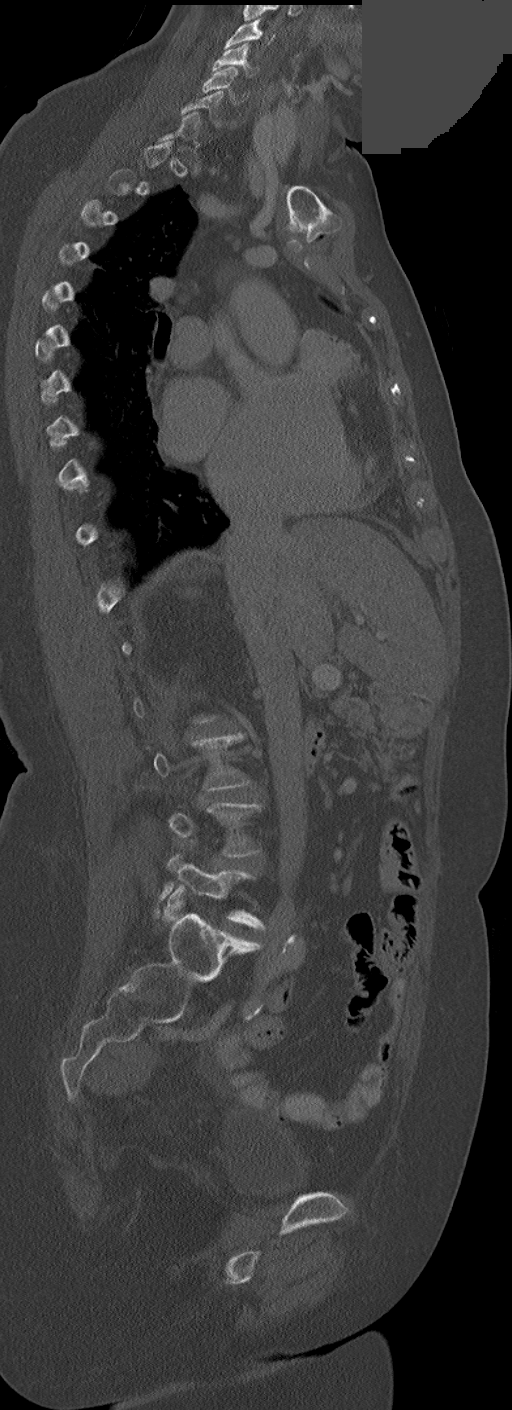 CT spine; sagittal view; W/L 1800/400 HU; some of the image was removed or blocked out with constant pixels
Each vertebra maps to its box as [x1, y1, x2, y2], the pixel coordinates of its top-left and bottom-right corners.
Each vertebra is boxed only on the slices from the first to the last where its cross-section reaches a third of its largest, so a slice outside that range leaves it unboxed.
{"vertebrae":{"C3":[224,18,274,48],"C4":[212,43,258,75],"C5":[202,67,239,103],"C6":[181,91,223,126],"L5":[161,854,264,930]}}